Spine CT; sagittal view; 11 vertebrae labeled in this scan
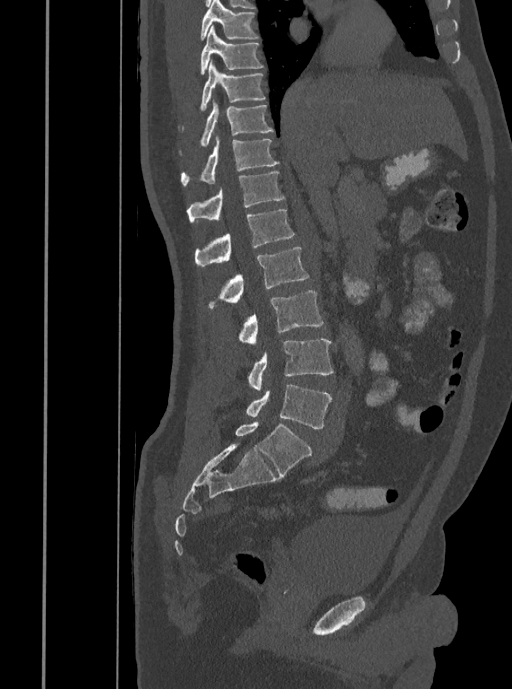

Each row gives a vertebra's box as x1, y1, x2, y2 in pixels: top-left corner, then bottom-right corner.
| vertebra | x1 | y1 | x2 | y2 |
|---|---|---|---|---|
| T7 | 201 | 0 | 257 | 40 |
| T8 | 201 | 25 | 262 | 75 |
| T9 | 201 | 59 | 265 | 111 |
| T10 | 201 | 99 | 274 | 146 |
| T11 | 181 | 134 | 279 | 186 |
| T12 | 186 | 171 | 284 | 221 |
| L1 | 194 | 210 | 294 | 266 |
| L2 | 207 | 247 | 309 | 308 |
| L3 | 237 | 290 | 324 | 343 |
| L4 | 247 | 339 | 333 | 390 |
| L5 | 246 | 384 | 331 | 428 |